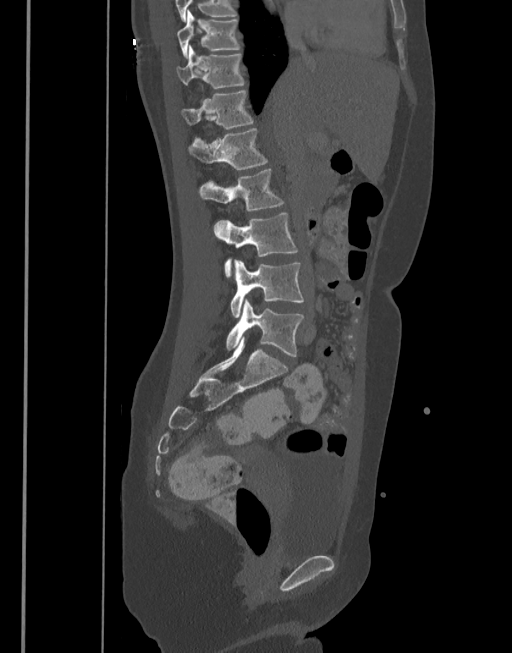 CT, spine · sagittal view · the image is 377 mm wide · W/L 1800/400 HU
Each row gives a vertebra's box as x1, y1, x2, y2 in pixels: top-left corner, then bottom-right corner.
| vertebra | x1 | y1 | x2 | y2 |
|---|---|---|---|---|
| T10 | 176 | 10 | 239 | 59 |
| T11 | 176 | 44 | 243 | 88 |
| T12 | 180 | 90 | 253 | 129 |
| L1 | 187 | 128 | 266 | 170 |
| L2 | 198 | 170 | 284 | 210 |
| L3 | 214 | 213 | 298 | 276 |
| L4 | 231 | 259 | 303 | 317 |
| L5 | 226 | 299 | 304 | 356 |